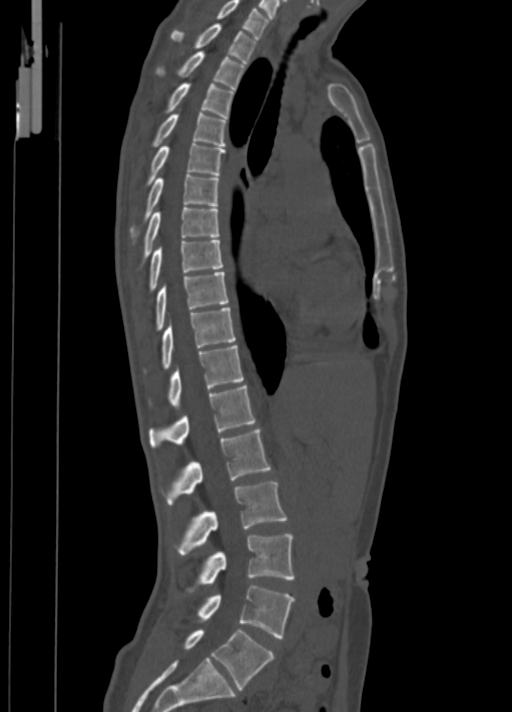 CT, spine. sagittal view

Boxes: x1:y1:x2:y2 in pixels. 18 vertebrae labeled — C7 at 216:0:269:38; T1 at 171:23:256:63; T2 at 156:51:245:90; T3 at 167:83:234:117; T4 at 152:113:226:147; T5 at 146:143:226:185; T6 at 130:174:218:235; T7 at 142:206:218:261; T8 at 149:240:223:290; T9 at 155:272:228:330; T10 at 162:307:236:369; T11 at 168:345:243:407; T12 at 149:385:255:447; L1 at 165:429:271:505; L2 at 177:481:287:555; L3 at 188:534:294:591; L4 at 196:585:294:638; L5 at 183:629:274:689.